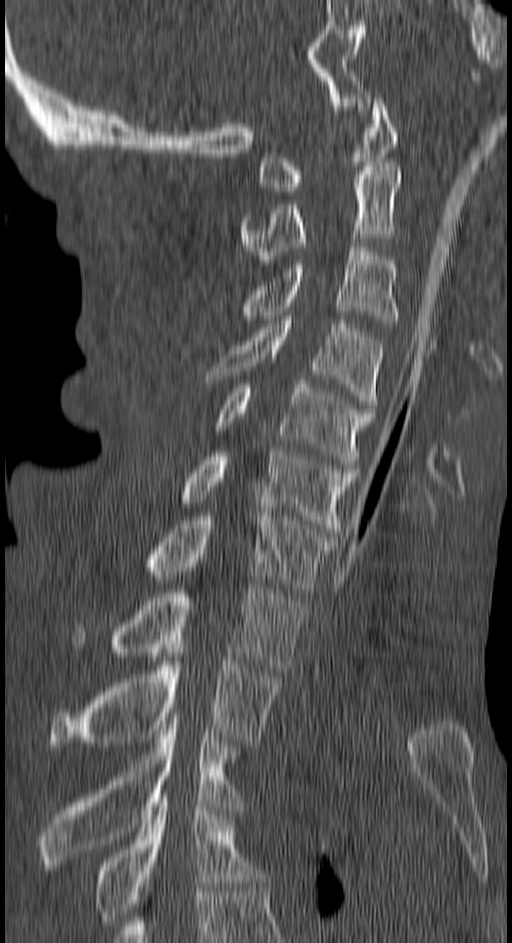 Computed tomography of the spine. sagittal view. W/L 1800/400 HU
Box values are [left, top, right, bottom] in pixels.
{"vertebrae":{"C1":[257,98,396,191],"C2":[240,166,400,264],"C3":[239,247,399,323],"C4":[206,316,383,413],"C5":[216,380,374,468],"C6":[182,452,355,532],"C7":[145,512,335,592],"T1":[73,585,305,673],"T2":[49,644,280,746],"T3":[39,721,243,869],"T4":[93,794,263,925]}}